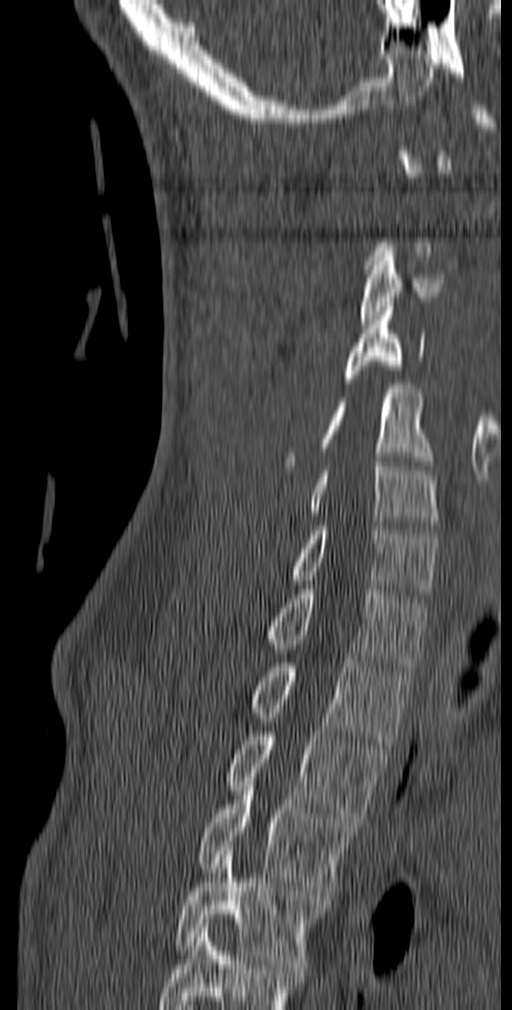 Computed tomography of the spine — the image spans 140 mm across — sagittal view — 512x1010 px

Coordinates as <box>x1,y1,x2,y2</box>. A vertebra is boxed only from the first to the last slice where its cross-section is at least a third of its largest; slices outside that range leave it without a box. This scan's labels start at C1 at the top and end at T5 at the bottom. Vertebrae labeled: C3 at <box>359,247,444,324</box>, C4 at <box>344,302,425,383</box>, C5 at <box>285,384,432,470</box>, C6 at <box>309,462,439,529</box>, C7 at <box>290,521,438,598</box>, T1 at <box>265,585,427,671</box>, T2 at <box>250,658,411,744</box>, T3 at <box>224,727,387,822</box>, T4 at <box>199,786,358,900</box>, T5 at <box>173,846,322,968</box>.